CT spine. sagittal reformat. 512x506 px. 8 vertebrae labeled in this scan
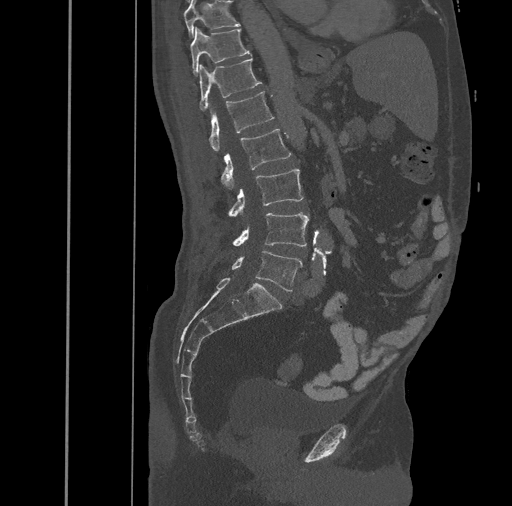
Each box is [x1, y1, x2, y2] in pixels: top-left corner, then bottom-right corner.
{"vertebrae":{"T10":[183,0,239,35],"T11":[189,27,251,74],"T12":[199,57,262,111],"L1":[209,92,274,153],"L2":[222,128,290,190],"L3":[228,168,303,216],"L4":[233,213,308,246],"L5":[232,251,302,291]}}